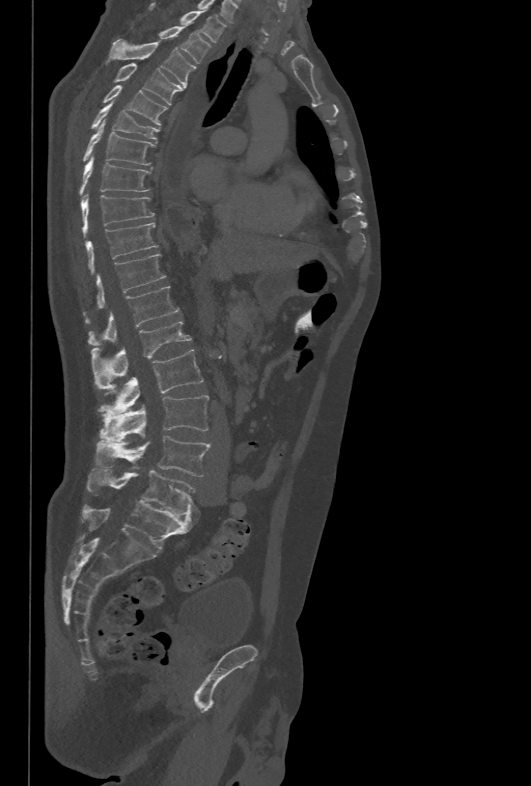 CT spine · sagittal view · W/L 1800/400 HU · 531x786 px. Boxes: x1:y1:x2:y2 in pixels.
Vertebra bounding boxes:
- T1: 148:4:224:43
- T2: 131:25:212:63
- T3: 109:39:196:87
- T4: 114:63:184:105
- T5: 104:85:167:125
- T6: 91:101:160:138
- T7: 83:119:155:164
- T8: 79:155:151:196
- T9: 81:194:155:235
- T10: 85:223:158:274
- T11: 96:254:166:307
- T12: 88:286:178:345
- L1: 91:320:191:388
- L2: 98:349:203:415
- L3: 100:395:209:441
- L4: 98:436:210:476
- L5: 87:469:196:515